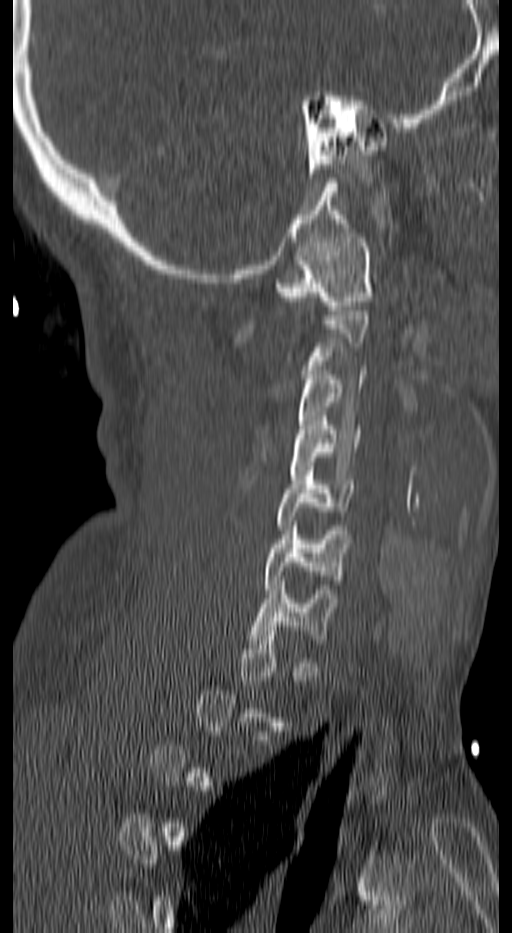 Spine computed tomography · sagittal view · 512x933 px. Boxes: x1 y1 x2 y2 (pixel coords, space-separated). Not every vertebra on this slice has a box: a vertebra is boxed only from the first to the last slice where its cross-section is at least a third of its largest, and this slice is outside that range for at least one of them. Vertebrae labeled: C1 at 276 233 373 310, C3 at 296 370 366 438, C4 at 290 416 359 479, C5 at 276 466 355 529, C6 at 265 526 348 593, C7 at 250 581 337 648.